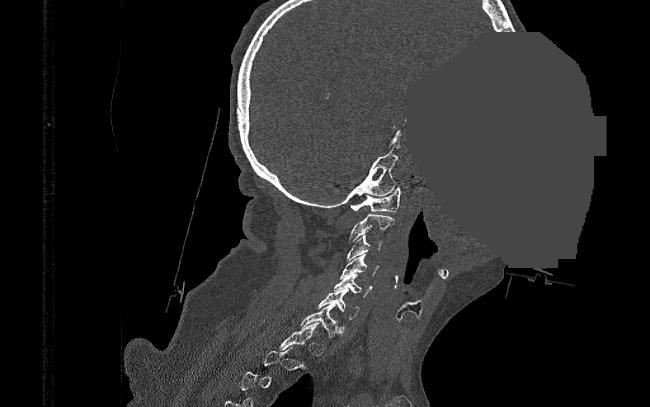
CT spine — sagittal view — 650x407 px — an area of the scan was removed and filled with constant pixels
Boxes below are [x1, y1, x2, y2] in pixels.
A vertebra gets a box only on the slices from the first to the last where its cross-section is at least a third of its largest; on a slice outside that range it gets none.
{"vertebrae":{"C1":[349,187,400,211],"C2":[349,214,394,241],"C3":[347,235,382,261],"C4":[340,254,380,279],"C5":[334,273,372,297],"C6":[317,288,358,319],"C7":[301,304,338,337]}}